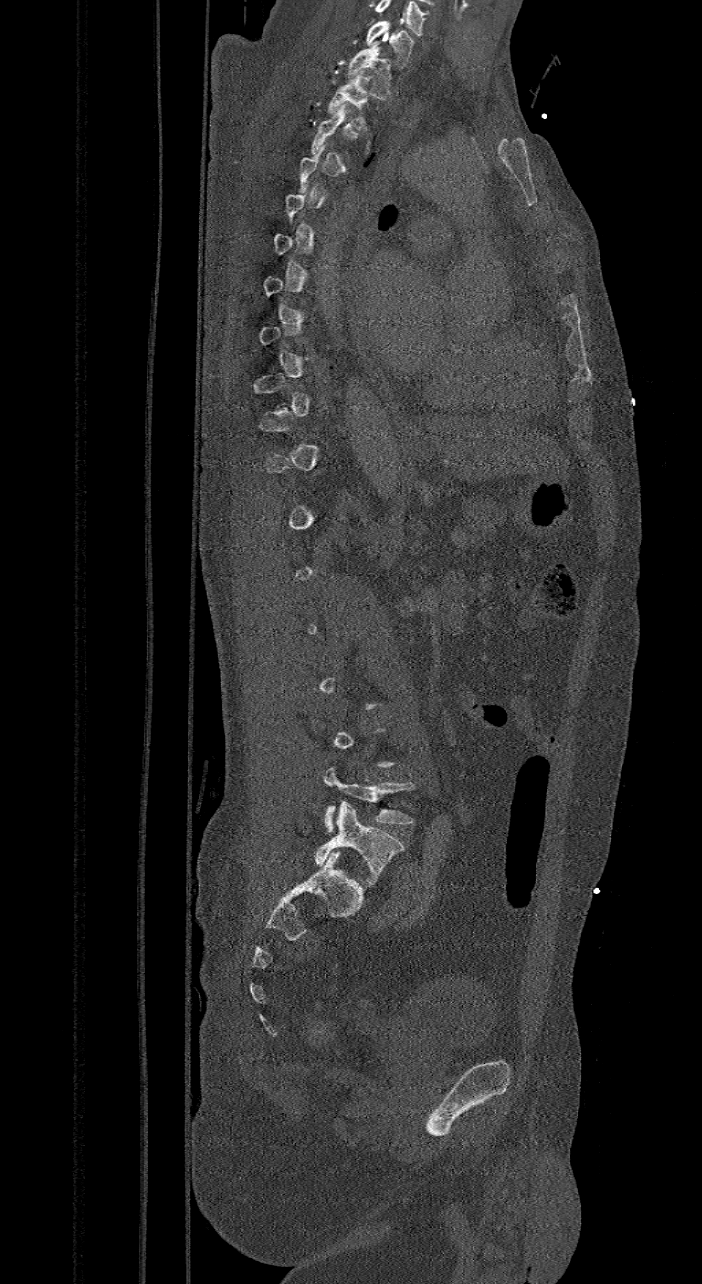 CT, spine; sagittal view; bone window; 702x1284 px. Box edges are left/top/right/bottom in pixels.
Not every vertebra on this slice has a box: a vertebra is boxed only from the first to the last slice where its cross-section is at least a third of its largest, and this slice is outside that range for at least one of them.
Labels in this scan begin with C7 at the top and end with L6 at the bottom.
The labels name a sixth lumbar vertebra for this spine: L6, after L5.
L6: left=314, top=802, right=403, bottom=885
L5: left=323, top=766, right=414, bottom=832
T2: left=326, top=72, right=368, bottom=129
T1: left=347, top=42, right=392, bottom=99
C7: left=366, top=21, right=414, bottom=67